Spine CT — sagittal view — Bone window (WL 400, WW 1800) — 8 vertebrae labeled in this scan — image width 425 mm
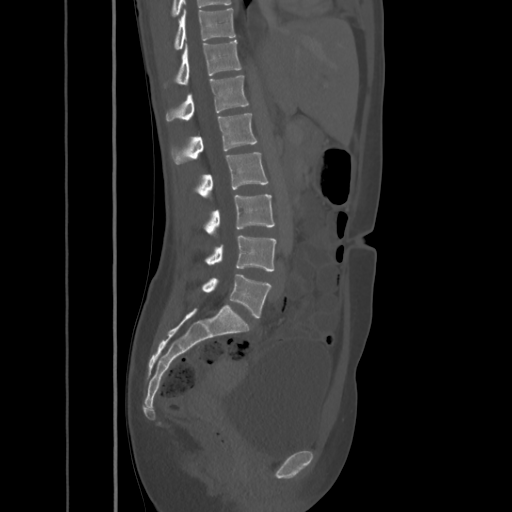 Each box is [x1, y1, x2, y2] in pixels: top-left corner, then bottom-right corner.
{"vertebrae":{"T10":[174,7,235,50],"T11":[164,40,241,87],"T12":[165,75,248,122],"L1":[171,113,257,164],"L2":[196,152,268,197],"L3":[205,194,275,234],"L4":[205,235,276,271],"L5":[201,274,271,317]}}